CT spine · sagittal reformat · 146x164 px
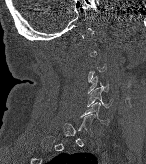

Box edges are left/top/right/bottom in pixels.
A vertebra gets a box only on the slices from the first to the last where its cross-section is at least a third of its largest; on a slice outside that range it gets none.
| vertebra | x1 | y1 | x2 | y2 |
|---|---|---|---|---|
| C4 | 88 | 76 | 108 | 93 |
| C5 | 87 | 88 | 112 | 107 |
| C6 | 80 | 102 | 108 | 124 |